CT — sagittal plane, index 315 — the image is 153 mm wide
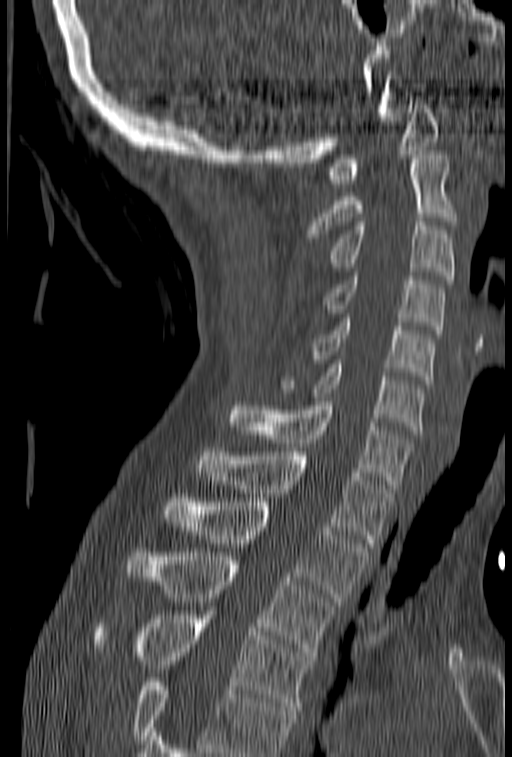
Boxes are (x1, y1, x2, y2) in pixels.
A vertebra cut off by the bottom edge of the scan is not labeled and has no box.
Vertebra bounding boxes:
- C1: (326, 96, 439, 183)
- C2: (309, 151, 455, 237)
- C3: (328, 218, 454, 279)
- C4: (322, 276, 445, 334)
- C5: (309, 314, 435, 380)
- C6: (279, 360, 425, 434)
- C7: (229, 397, 412, 488)
- T1: (198, 448, 392, 547)
- T2: (164, 502, 372, 601)
- T3: (127, 548, 335, 656)
- T4: (92, 615, 313, 710)